CT — image width 187 mm — sagittal reformat — 512x609 px
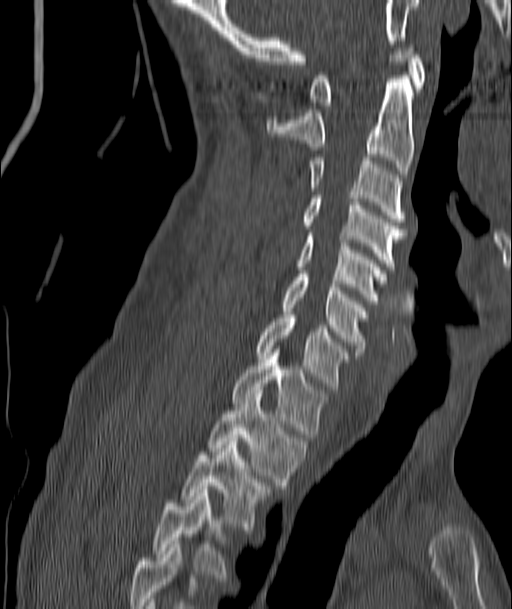 Boxes: x1:y1:x2:y2 in pixels.
In this scan, the topmost labeled vertebra is C1 and the lowest is T4.
Vertebra bounding boxes:
- T4: 154:493:224:577
- T3: 182:438:268:529
- T2: 209:394:307:488
- T1: 231:356:326:437
- C7: 255:315:348:389
- C6: 283:274:367:355
- C5: 297:233:386:300
- C4: 302:195:405:269
- C3: 308:157:405:221
- C2: 266:79:413:174
- C1: 310:44:424:109